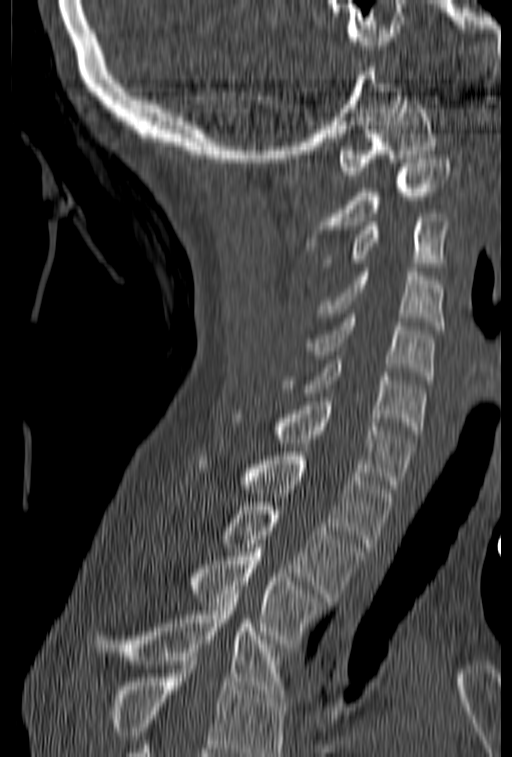

CT spine. sagittal reformat

Coordinates as <box>x1,y1,x2,y2</box>. Where the bottom of the scan cuts through a vertebra, that vertebra gets no label or box. Vertebrae labeled: C1 at <box>339,96,436,179</box>, C2 at <box>304,155,449,246</box>, C3 at <box>323,213,449,267</box>, C4 at <box>317,268,442,329</box>, C5 at <box>305,314,434,380</box>, C6 at <box>279,360,425,434</box>, C7 at <box>231,397,415,488</box>, T1 at <box>198,452,395,547</box>, T2 at <box>223,502,365,597</box>, T3 at <box>195,548,325,647</box>, T4 at <box>94,590,285,698</box>.